CT, spine; 336 mm across the image; sagittal view; Bone window (WL 400, WW 1800); 8 vertebrae labeled in this scan
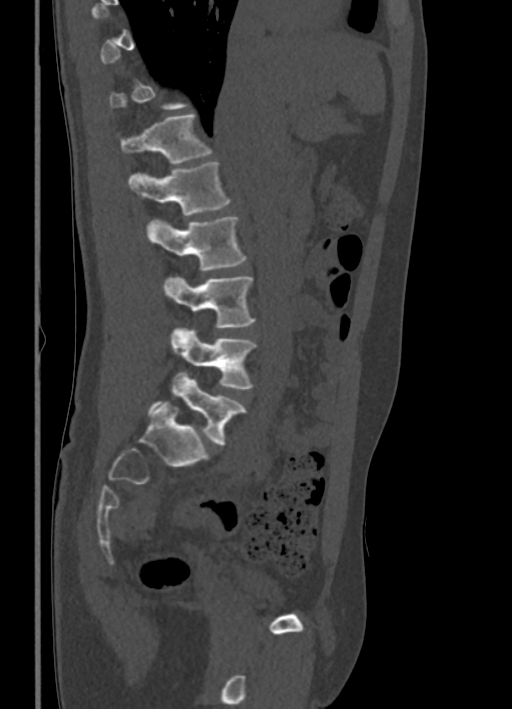
Coordinates as <box>x1,y1,x2,y2</box>.
A vertebra is boxed only from the first to the last slice where its cross-section is at least a third of its largest; slices outside that range leave it without a box.
Vertebra bounding boxes:
- L5: <box>148,372,244,444</box>
- L4: <box>169,326,256,389</box>
- L3: <box>161,277,253,328</box>
- L2: <box>146,216,246,270</box>
- L1: <box>128,161,230,215</box>
- T12: <box>122,115,211,164</box>